CT, spine; sagittal view; image 140 mm wide; bone-window reconstruction; 512x827 px; 10 vertebrae labeled in this scan
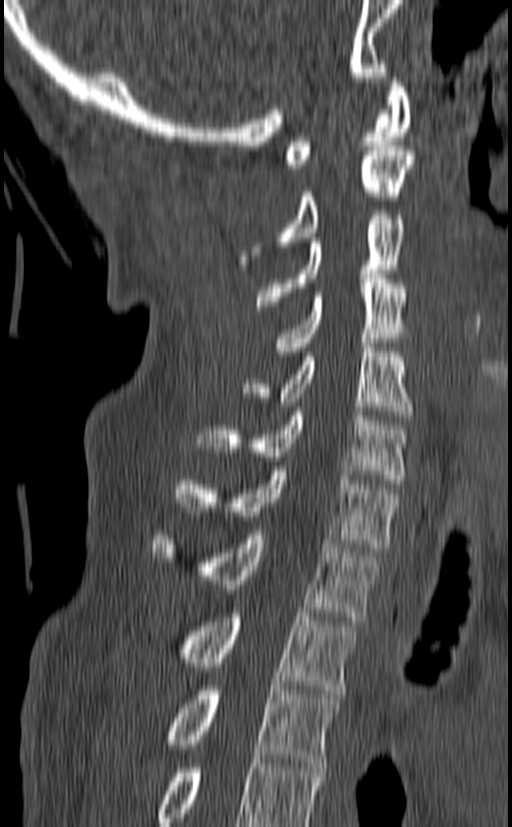
Coordinates as <box>x1,y1,x2,y2</box>.
The highest labeled vertebra in this scan is C1; the lowest is T3.
C1: <box>285,73,412,168</box>
C2: <box>239,146,415,264</box>
C3: <box>256,215,405,310</box>
C4: <box>274,274,410,356</box>
C5: <box>242,343,414,420</box>
C6: <box>195,411,406,484</box>
C7: <box>177,466,399,552</box>
T1: <box>152,530,381,621</box>
T2: <box>177,608,359,694</box>
T3: <box>162,686,340,767</box>